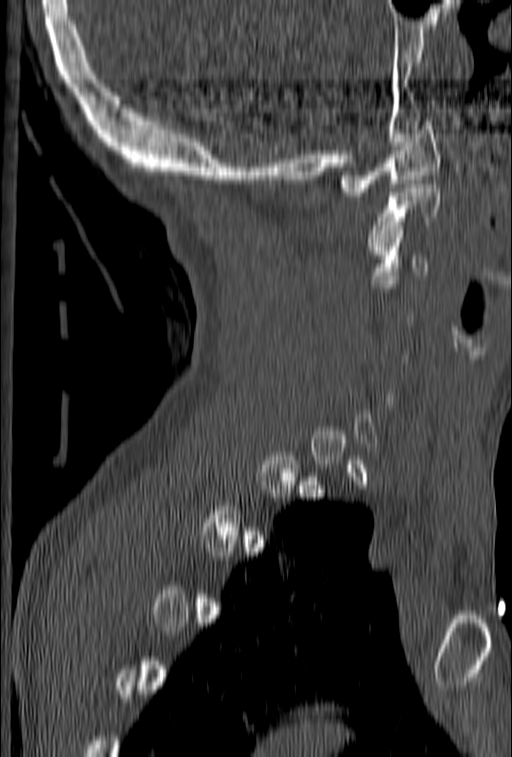 CT. sagittal view. bone-window reconstruction. 512x757 px. the image is 153 mm wide
Each box is [x1, y1, x2, y2] in pixels: top-left corner, then bottom-right corner.
Each vertebra is boxed only on the slices from the first to the last where its cross-section reaches a third of its largest, so a slice outside that range leaves it unboxed.
{"vertebrae":{"C2":[368,180,439,250],"C1":[338,121,441,196]}}